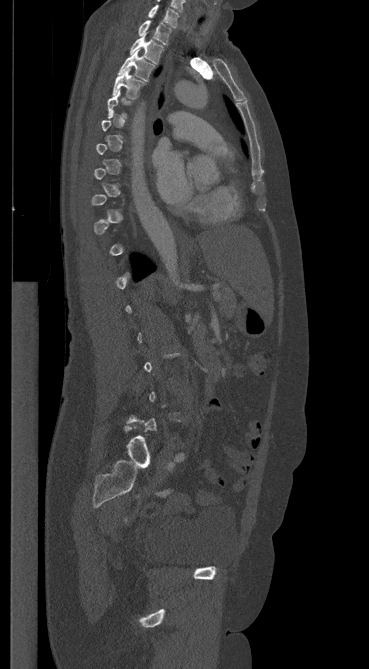 CT spine; sagittal reformat; Bone window (WL 400, WW 1800)
In the table, x1 and y1 are a box's top-left corner and x2 and y2 its bottom-right corner, in pixels.
A vertebra gets a box only on the slices from the first to the last where its cross-section is at least a third of its largest; on a slice outside that range it gets none.
| vertebra | x1 | y1 | x2 | y2 |
|---|---|---|---|---|
| C7 | 148 | 4 | 178 | 27 |
| T1 | 138 | 20 | 171 | 44 |
| T2 | 130 | 36 | 163 | 63 |
| T3 | 119 | 50 | 154 | 81 |
| T4 | 112 | 68 | 145 | 99 |